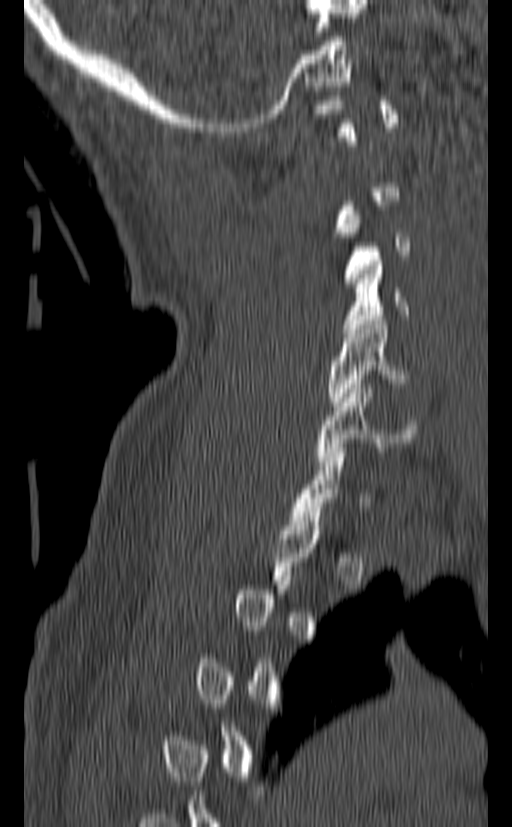 CT, spine — image width 140 mm — sagittal reformat — W/L 1800/400 HU. Bounding boxes as [x1, y1, x2, y2] in pixel coordinates.
A vertebra gets a box only on the slices from the first to the last where its cross-section is at least a third of its largest; on a slice outside that range it gets none.
C4: [342, 261, 408, 333]
C5: [327, 320, 408, 406]
C6: [316, 384, 417, 465]